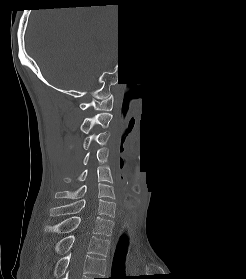 CT spine — sagittal view — bone window — 246x279 px — an area of the scan was removed and filled with constant pixels

Box edges are left/top/right/bottom in pixels. This scan's labels start at C1 at the top and end at T2 at the bottom. Vertebrae labeled: C1 at left=79, top=94, right=113, bottom=110, C2 at left=80, top=112, right=112, bottom=133, C3 at left=83, top=132, right=109, bottom=149, C4 at left=83, top=148, right=108, bottom=164, C5 at left=63, top=166, right=112, bottom=183, C6 at left=55, top=183, right=115, bottom=198, C7 at left=50, top=199, right=115, bottom=217, T1 at left=45, top=216, right=114, bottom=236, T2 at left=55, top=235, right=109, bottom=256.